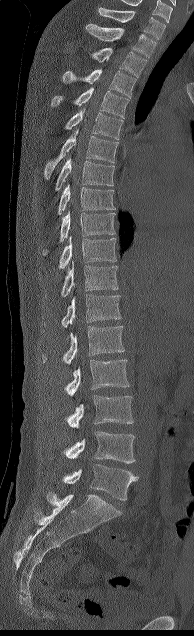
Spine computed tomography; sagittal view; bone-window reconstruction; 194x636 px; image 194 mm wide
Box edges are left/top/right/bottom in pixels.
Vertebra bounding boxes:
- C7: left=98, top=7, right=165, bottom=39
- T1: left=86, top=24, right=156, bottom=57
- T2: left=91, top=47, right=146, bottom=77
- T3: left=64, top=69, right=136, bottom=97
- T4: left=51, top=88, right=129, bottom=118
- T5: left=65, top=109, right=122, bottom=139
- T6: left=44, top=129, right=119, bottom=179
- T7: left=55, top=158, right=114, bottom=191
- T8: left=57, top=184, right=114, bottom=214
- T9: left=42, top=212, right=115, bottom=255
- T10: left=58, top=237, right=116, bottom=268
- T11: left=61, top=262, right=118, bottom=296
- T12: left=61, top=294, right=121, bottom=327
- L1: left=42, top=326, right=124, bottom=364
- L2: left=64, top=359, right=129, bottom=396
- L3: left=65, top=395, right=133, bottom=428
- L4: left=63, top=431, right=135, bottom=463
- L5: left=63, top=464, right=138, bottom=500